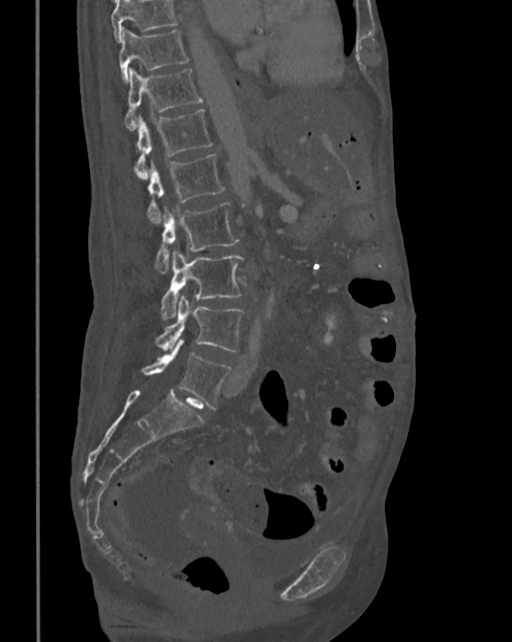

CT, spine · sagittal view · the image is 342 mm wide · bone window · 512x642 px

Each box given as x1,y1,x2,y2.
Where the top of the scan cuts through a vertebra, that vertebra gets no label or box.
Vertebra bounding boxes:
- T10: x1=118, y1=27, x2=189, y2=82
- T11: x1=124, y1=68, x2=202, y2=130
- T12: x1=134, y1=108, x2=213, y2=179
- L1: x1=146, y1=153, x2=225, y2=224
- L2: x1=155, y1=202, x2=238, y2=274
- L3: x1=161, y1=250, x2=243, y2=319
- L4: x1=155, y1=296, x2=243, y2=351
- L5: x1=142, y1=338, x2=231, y2=410